CT, spine — sagittal plane, index 259 — the image spans 401 mm across — scan covers 10 annotated vertebrae
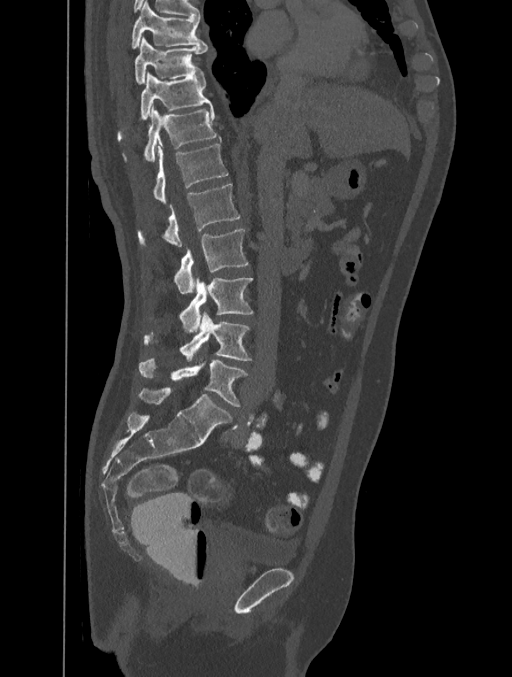

Box values are [left, top, right, bottom] in pixels.
{"vertebrae":{"T8":[131,1,207,47],"T9":[135,37,207,83],"T10":[119,71,212,138],"T11":[144,106,220,160],"T12":[153,144,227,204],"L1":[138,183,239,247],"L2":[175,229,248,294],"L3":[180,277,253,332],"L4":[144,311,252,362],"L5":[139,359,247,407]}}